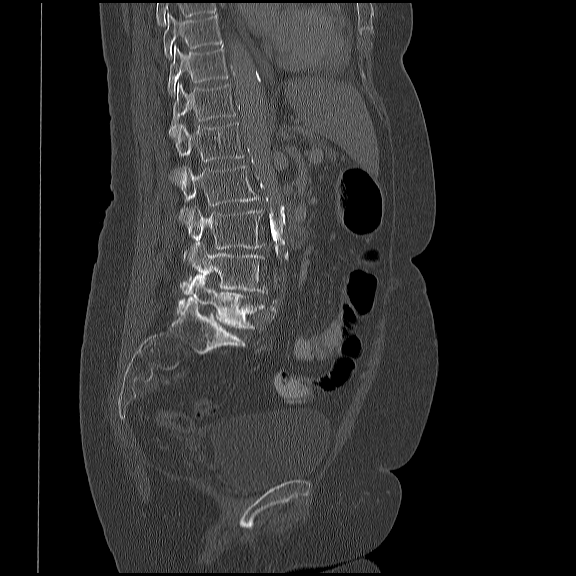

Spine CT · sagittal reformat

Bounding boxes as [x1, y1, x2, y2] in pixel coordinates.
This scan's labels start at T10 at the top and end at L5 at the bottom.
L5: [193, 278, 263, 328]
L4: [180, 244, 267, 294]
L3: [183, 207, 265, 261]
L2: [178, 165, 258, 221]
L1: [168, 122, 244, 181]
T12: [168, 83, 236, 137]
T11: [167, 45, 228, 94]
T10: [163, 14, 222, 57]